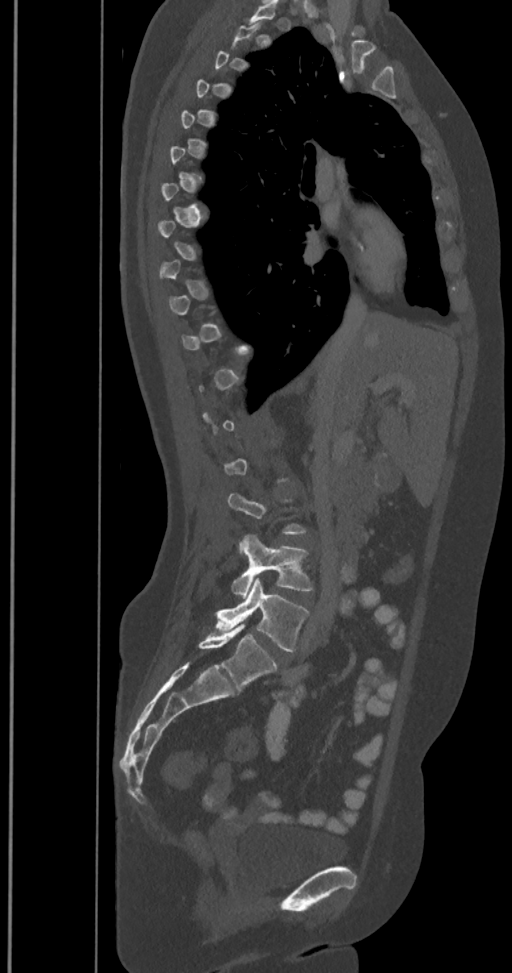

CT, spine. sagittal view
Not every vertebra on this slice has a box: a vertebra is boxed only from the first to the last slice where its cross-section is at least a third of its largest, and this slice is outside that range for at least one of them.
The labels name a sixth lumbar vertebra for this spine: L6, after L5.
<vertebrae><v name="L4" x1="231" y1="535" x2="312" y2="597"/><v name="L5" x1="215" y1="578" x2="309" y2="652"/><v name="L6" x1="199" y1="624" x2="277" y2="689"/></vertebrae>